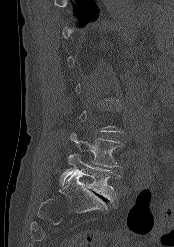

CT spine — 174 mm image width — sagittal view — 174x247 px. Boxes: x1 y1 x2 y2 (pixel coords, space-separated).
A vertebra gets a box only on the slices from the first to the last where its cross-section is at least a third of its largest; on a slice outside that range it gets none.
Vertebra bounding boxes:
- L4: 69 132 121 167
- L5: 59 154 120 201